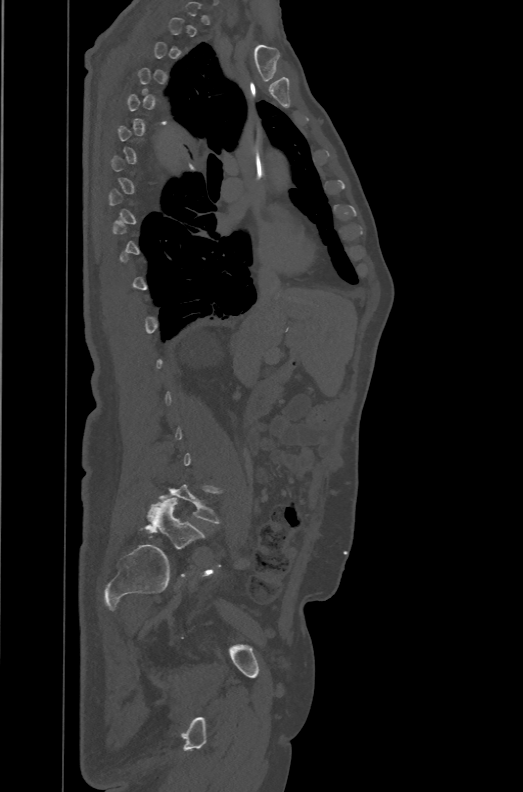 CT; sagittal view; Bone window (WL 400, WW 1800); 523x792 px

Boxes are (x1, y1, x2, y2) in pixels.
A vertebra is boxed only from the first to the last slice where its cross-section is at least a third of its largest; slices outside that range leave it without a box.
In these labels the spine has an L6, a sixth lumbar vertebra below L5.
L5: (159, 484, 221, 523)
L6: (140, 498, 205, 549)